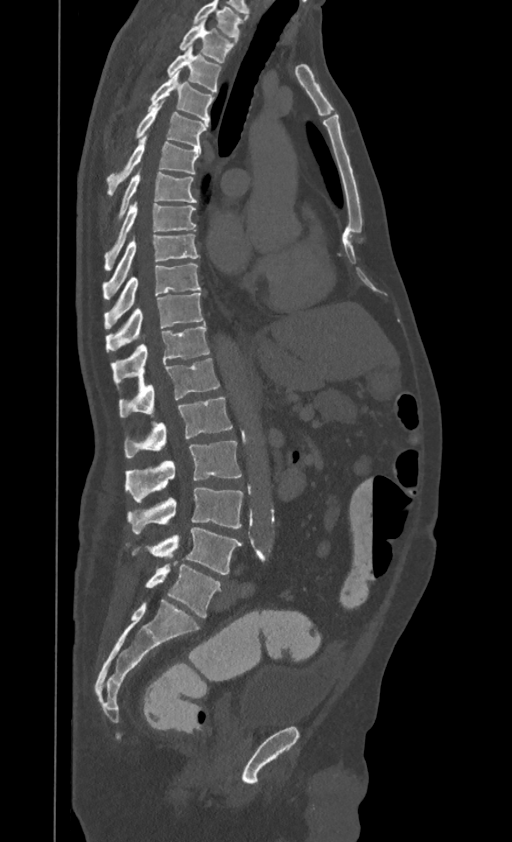

Spine CT; sagittal view

In this scan, the topmost labeled vertebra is T1 and the lowest is L4.
<vertebrae><v name="T1" x1="179" y1="20" x2="236" y2="62"/><v name="T2" x1="167" y1="45" x2="221" y2="92"/><v name="T3" x1="149" y1="71" x2="213" y2="124"/><v name="T4" x1="136" y1="103" x2="208" y2="148"/><v name="T5" x1="106" y1="136" x2="200" y2="196"/><v name="T6" x1="118" y1="173" x2="196" y2="218"/><v name="T7" x1="105" y1="202" x2="196" y2="268"/><v name="T8" x1="102" y1="234" x2="198" y2="296"/><v name="T9" x1="105" y1="262" x2="200" y2="328"/><v name="T10" x1="106" y1="293" x2="202" y2="351"/><v name="T11" x1="111" y1="323" x2="209" y2="385"/><v name="T12" x1="119" y1="358" x2="219" y2="418"/><v name="L1" x1="124" y1="397" x2="232" y2="457"/><v name="L2" x1="126" y1="441" x2="241" y2="502"/><v name="L3" x1="127" y1="488" x2="243" y2="533"/><v name="L4" x1="132" y1="527" x2="241" y2="574"/></vertebrae>